Spine CT. sagittal reformat. 512x778 px
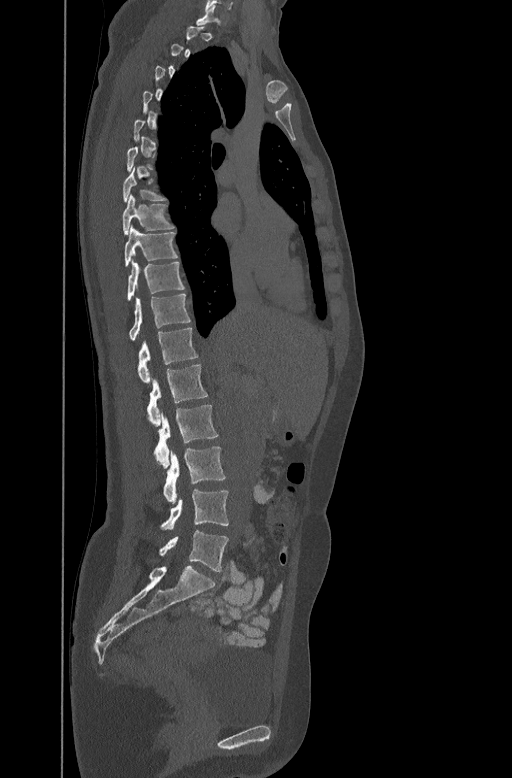
Boxes are (x1, y1, x2, y2) in pixels. Each vertebra is boxed only on the slices from the first to the last where its cross-section reaches a third of its largest, so a slice outside that range leaves it unboxed. 11 vertebrae labeled — T7 at (122, 165, 166, 201); T8 at (122, 193, 174, 233); T9 at (124, 225, 178, 265); T10 at (127, 261, 184, 300); T11 at (128, 293, 190, 340); T12 at (137, 326, 198, 381); L1 at (147, 363, 207, 424); L2 at (155, 405, 218, 467); L3 at (163, 446, 226, 503); L4 at (160, 490, 228, 529); L5 at (159, 530, 228, 571).